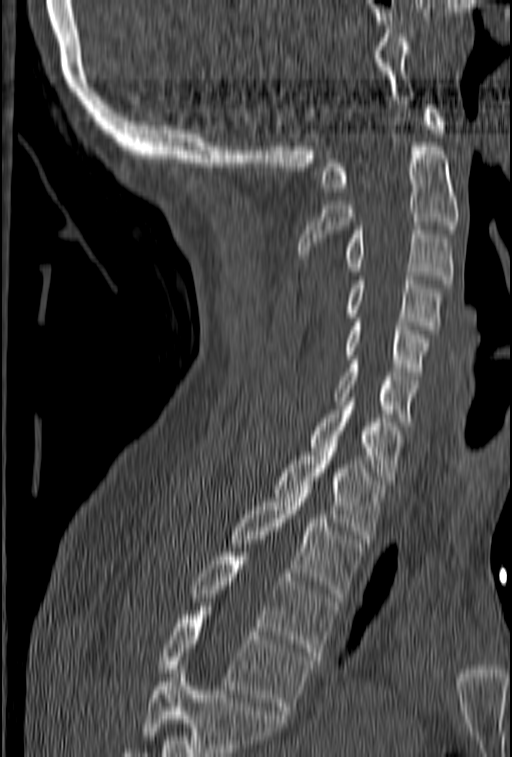 Spine computed tomography. sagittal view. bone window. 512x757 px

Bounding boxes as [x1, y1, x2, y2] in pixel coordinates. A vertebra cut off by the bottom edge of the scan is not labeled and has no box. Vertebrae labeled: C1 at [320, 105, 445, 191], C2 at [299, 142, 459, 258], C3 at [343, 226, 454, 283], C4 at [346, 276, 442, 334], C5 at [343, 318, 429, 375], C6 at [334, 360, 418, 426], C7 at [307, 397, 402, 484], T1 at [274, 448, 385, 543], T2 at [229, 489, 362, 597], T3 at [192, 552, 336, 660], T4 at [158, 611, 313, 714].